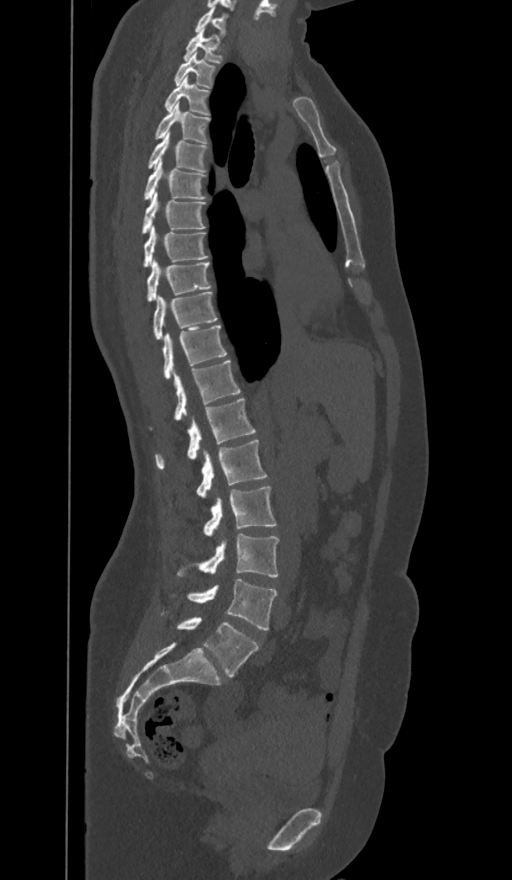 CT spine — sagittal view

Boxes are (x1, y1, x2, y2) in pixels.
These labels give the spine a sixth lumbar vertebra, L6, below L5.
C7: (196, 6, 225, 32)
T1: (183, 28, 222, 63)
T2: (175, 53, 214, 86)
T3: (165, 76, 207, 114)
T4: (156, 102, 208, 142)
T5: (148, 132, 206, 171)
T6: (144, 158, 204, 200)
T7: (142, 191, 204, 233)
T8: (144, 225, 207, 265)
T9: (148, 259, 210, 301)
T10: (153, 291, 216, 339)
T11: (163, 325, 226, 377)
T12: (174, 360, 240, 420)
L1: (156, 398, 255, 468)
L2: (197, 440, 266, 498)
L3: (204, 487, 275, 536)
L4: (179, 533, 278, 577)
L5: (189, 579, 277, 630)
L6: (178, 617, 258, 677)